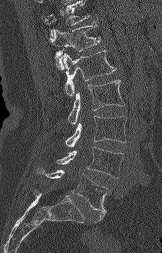

Computed tomography of the spine — sagittal view — Bone window (WL 400, WW 1800) — 162x253 px
Boxes: x1 y1 x2 y2 (pixel coords, space-separated).
No box is given to a vertebra that the top edge of the scan cuts off.
L5: 38 169 108 221
L4: 56 147 123 178
L3: 65 116 126 147
L2: 68 80 124 124
L1: 63 50 116 96
T12: 49 18 100 69